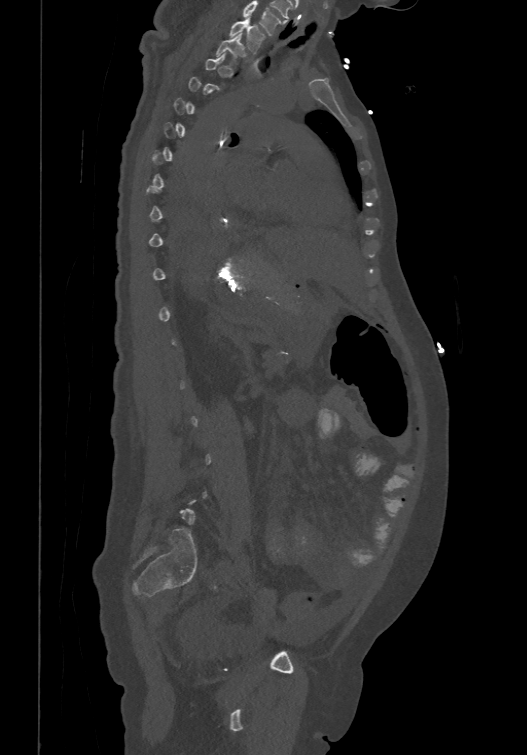
Spine CT; sagittal view; 527x755 px
Boxes: x1 y1 x2 y2 (pixel coords, space-separated).
A vertebra gets a box only on the slices from the first to the last where its cross-section is at least a third of its largest; on a slice outside that range it gets none.
In this scan, the topmost labeled vertebra is T1 and the lowest is L6.
Vertebra bounding boxes:
- T1: 228 18 264 54
- T2: 216 33 242 60